CT — sagittal view — 194x636 px — scan covers 18 annotated vertebrae
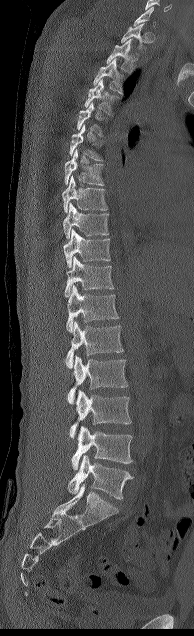 Coordinates as <box>x1,y1,x2,y2</box>.
Each vertebra is boxed only on the slices from the first to the last where its cross-section reaches a third of its largest, so a slice outside that range leaves it unboxed.
Vertebra bounding boxes:
- T1: <box>121,23,145,52</box>
- T2: <box>106,39,133,73</box>
- T3: <box>93,58,123,93</box>
- T4: <box>84,79,120,114</box>
- T7: <box>64,149,104,185</box>
- T8: <box>62,176,107,212</box>
- T9: <box>63,203,108,239</box>
- T10: <box>63,229,110,267</box>
- T11: <box>64,257,113,296</box>
- T12: <box>66,285,119,332</box>
- L1: <box>65,321,123,368</box>
- L2: <box>67,355,128,403</box>
- L3: <box>70,390,131,438</box>
- L4: <box>71,426,132,470</box>
- L5: <box>67,455,133,499</box>